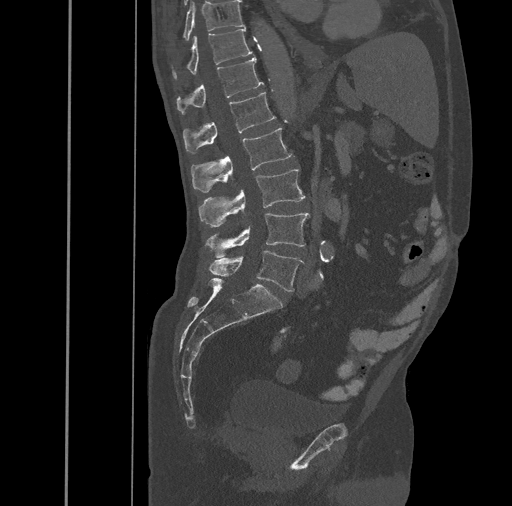 Spine computed tomography. sagittal view. Bone window (WL 400, WW 1800). Boxes: x1 y1 x2 y2 (pixel coords, space-separated).
Vertebra bounding boxes:
- T10: 183 1 243 40
- T11: 171 28 252 77
- T12: 177 57 263 113
- L1: 183 92 276 153
- L2: 191 127 293 192
- L3: 198 169 305 226
- L4: 205 213 308 257
- L5: 209 251 303 291